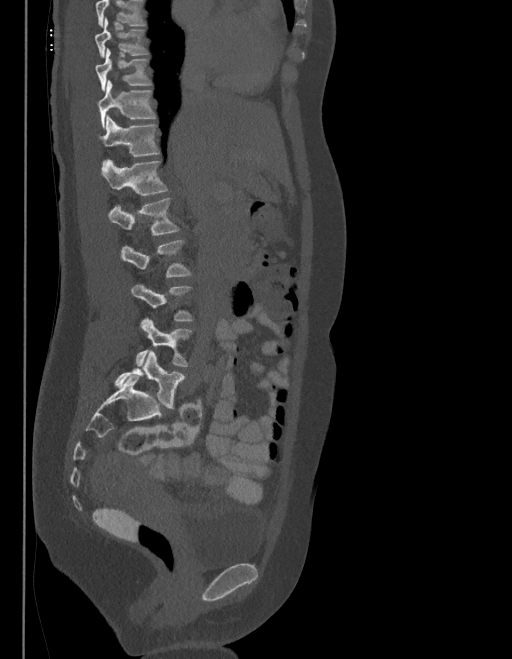

CT, spine — sagittal view — bone window — the image is 403 mm wide
Each row gives a vertebra's box as x1, y1, x2, y2 in pixels: top-left corner, then bottom-right corner.
A vertebra is boxed only from the first to the last slice where its cross-section is at least a third of its largest; slices outside that range leave it without a box.
A vertebra cut off by the top edge of the scan is not labeled and has no box.
The labels name a sixth lumbar vertebra for this spine: L6, after L5.
| vertebra | x1 | y1 | x2 | y2 |
|---|---|---|---|---|
| T9 | 95 | 18 | 146 | 57 |
| T10 | 95 | 49 | 150 | 89 |
| T11 | 96 | 81 | 155 | 127 |
| T12 | 99 | 117 | 158 | 163 |
| L1 | 102 | 161 | 167 | 196 |
| L2 | 108 | 199 | 178 | 235 |
| L3 | 121 | 241 | 189 | 277 |
| L5 | 135 | 318 | 191 | 366 |
| L6 | 114 | 351 | 184 | 408 |